Computed tomography of the spine — sagittal plane, index 16 — 16 vertebrae labeled in this scan
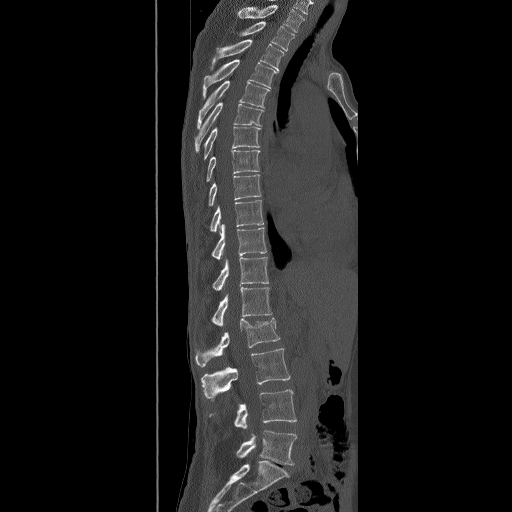
Box edges are left/top/right/bottom in pixels.
In this scan, the topmost labeled vertebra is T2 and the lowest is L5.
Vertebra bounding boxes:
- L5: left=235, top=430, right=296, bottom=465
- L4: left=209, top=389, right=296, bottom=429
- L3: left=201, top=348, right=290, bottom=401
- L2: left=196, top=317, right=280, bottom=366
- L1: left=211, top=287, right=272, bottom=325
- T12: left=212, top=257, right=269, bottom=291
- T11: left=211, top=223, right=267, bottom=260
- T10: left=210, top=200, right=263, bottom=232
- T9: left=208, top=174, right=262, bottom=206
- T8: left=206, top=150, right=259, bottom=182
- T7: left=204, top=126, right=260, bottom=160
- T6: left=194, top=102, right=264, bottom=152
- T5: left=197, top=80, right=270, bottom=129
- T4: left=203, top=59, right=276, bottom=99
- T3: left=210, top=39, right=283, bottom=71
- T2: left=237, top=21, right=295, bottom=50